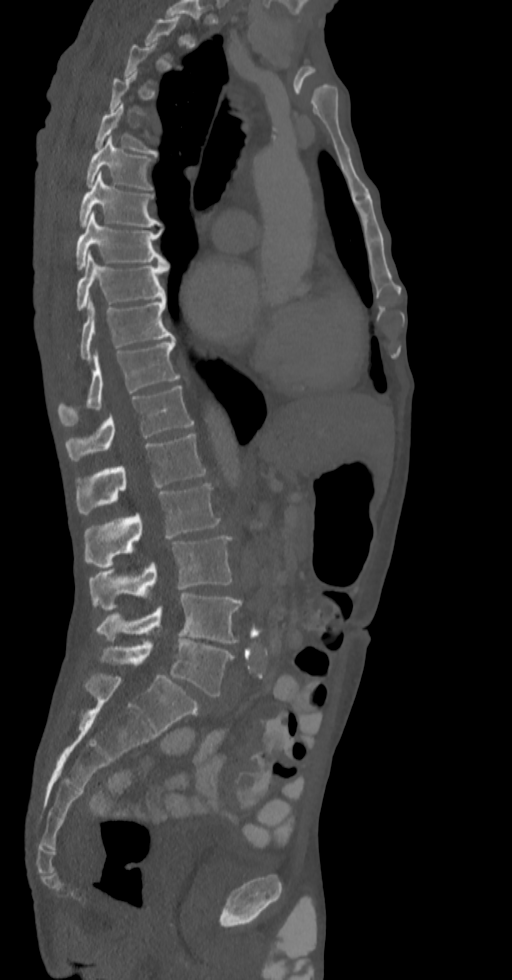
Spine CT — sagittal view — 512x980 px
Not every vertebra on this slice has a box: a vertebra is boxed only from the first to the last slice where its cross-section is at least a third of its largest, and this slice is outside that range for at least one of them.
<vertebrae><v name="T5" x1="96" y1="102" x2="157" y2="154"/><v name="T6" x1="87" y1="136" x2="153" y2="189"/><v name="T7" x1="79" y1="172" x2="160" y2="226"/><v name="T8" x1="76" y1="212" x2="168" y2="269"/><v name="T9" x1="76" y1="253" x2="168" y2="310"/><v name="T10" x1="79" y1="297" x2="174" y2="359"/><v name="T11" x1="58" y1="340" x2="180" y2="426"/><v name="T12" x1="65" y1="386" x2="194" y2="461"/><v name="L1" x1="76" y1="433" x2="206" y2="514"/><v name="L2" x1="84" y1="483" x2="220" y2="567"/><v name="L3" x1="88" y1="536" x2="232" y2="610"/><v name="L4" x1="96" y1="593" x2="241" y2="642"/><v name="L5" x1="99" y1="640" x2="233" y2="697"/></vertebrae>